Spine computed tomography; sagittal view; 218 mm wide; bone window
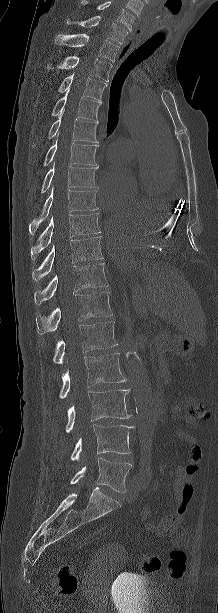 Boxes are given in columns x1, y1, x2, y2, the pixel coordinates of their top-left and bottom-right corners.
The highest labeled vertebra in this scan is C7; the lowest is L5.
| vertebra | x1 | y1 | x2 | y2 |
|---|---|---|---|---|
| C7 | 66 | 16 | 127 | 44 |
| T1 | 54 | 34 | 119 | 61 |
| T2 | 47 | 56 | 112 | 81 |
| T3 | 58 | 74 | 106 | 99 |
| T4 | 52 | 88 | 101 | 120 |
| T5 | 33 | 109 | 99 | 146 |
| T6 | 43 | 134 | 98 | 166 |
| T7 | 41 | 164 | 98 | 192 |
| T8 | 29 | 186 | 97 | 237 |
| T9 | 31 | 213 | 100 | 260 |
| T10 | 32 | 236 | 102 | 281 |
| T11 | 34 | 263 | 107 | 304 |
| T12 | 35 | 291 | 112 | 334 |
| L1 | 53 | 321 | 117 | 364 |
| L2 | 59 | 353 | 126 | 398 |
| L3 | 66 | 389 | 131 | 432 |
| L4 | 71 | 424 | 134 | 460 |
| L5 | 70 | 458 | 132 | 492 |